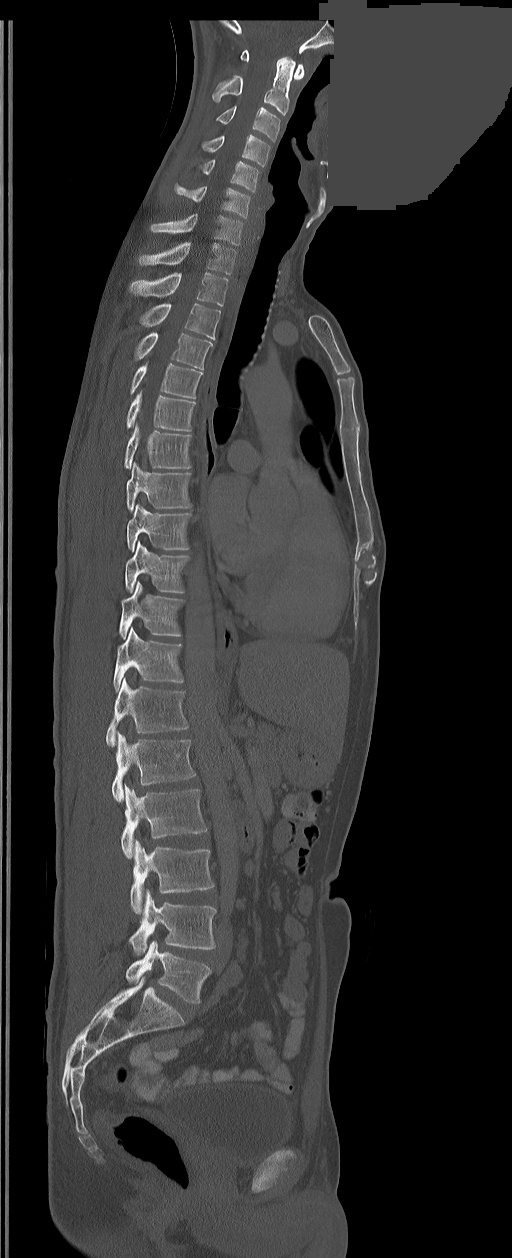

CT — sagittal view — bone-window reconstruction — 512x1258 px — a region of this slice is masked with a uniform fill
These labels give the spine a sixth lumbar vertebra, L6, below L5.
<vertebrae><v name="C1" x1="241" y1="50" x2="304" y2="80"/><v name="C2" x1="212" y1="57" x2="295" y2="115"/><v name="C3" x1="217" y1="106" x2="280" y2="141"/><v name="C4" x1="202" y1="135" x2="270" y2="166"/><v name="C5" x1="202" y1="160" x2="258" y2="191"/><v name="C6" x1="176" y1="186" x2="249" y2="217"/><v name="C7" x1="151" y1="214" x2="242" y2="245"/><v name="T1" x1="139" y1="242" x2="236" y2="274"/><v name="T2" x1="129" y1="272" x2="227" y2="306"/><v name="T3" x1="141" y1="303" x2="220" y2="339"/><v name="T4" x1="135" y1="332" x2="211" y2="369"/><v name="T5" x1="130" y1="363" x2="203" y2="399"/><v name="T6" x1="126" y1="391" x2="195" y2="431"/><v name="T7" x1="125" y1="424" x2="191" y2="467"/><v name="T8" x1="126" y1="462" x2="191" y2="511"/><v name="T9" x1="126" y1="505" x2="191" y2="551"/><v name="T10" x1="125" y1="541" x2="188" y2="593"/><v name="T11" x1="119" y1="582" x2="184" y2="638"/><v name="T12" x1="113" y1="628" x2="184" y2="690"/><v name="L1" x1="106" y1="678" x2="188" y2="747"/><v name="L2" x1="111" y1="733" x2="195" y2="802"/><v name="L3" x1="120" y1="786" x2="207" y2="858"/><v name="L4" x1="130" y1="840" x2="214" y2="913"/><v name="L5" x1="129" y1="890" x2="216" y2="956"/><v name="L6" x1="126" y1="941" x2="210" y2="1003"/></vertebrae>